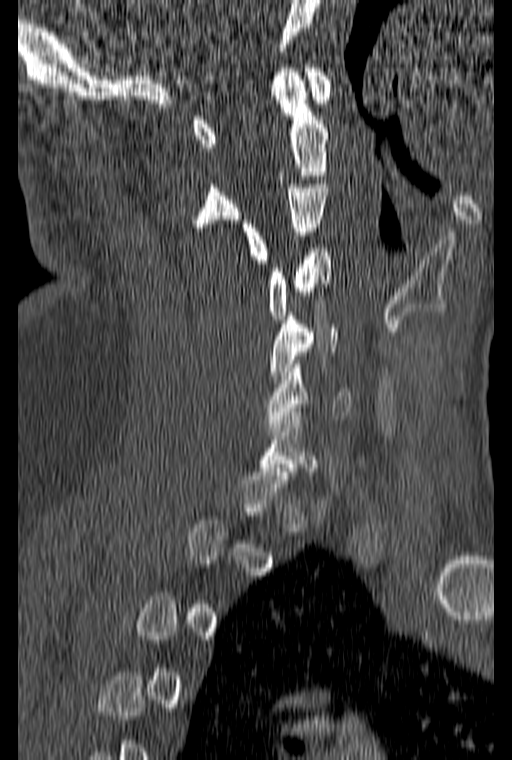 CT spine · sagittal reformat · Bone window (WL 400, WW 1800) · 512x760 px
Boxes are (x1, y1, x2, y2) in pixels.
A vertebra is boxed only from the first to the last slice where its cross-section is at least a third of its largest; slices outside that range leave it without a box.
C1: (193, 64, 331, 147)
C2: (192, 68, 327, 231)
C3: (241, 180, 327, 263)
C4: (267, 244, 333, 319)
C5: (270, 312, 337, 379)
C6: (265, 360, 351, 427)